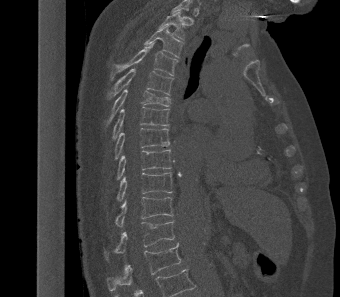

CT spine — sagittal view
Each vertebra maps to its box as [x1, y1, x2, y2], the pixel coordinates of its top-left and bottom-right corners.
The highest labeled vertebra in this scan is T2; the lowest is L1.
{"vertebrae":{"L1":[107,242,181,291],"T12":[104,221,174,259],"T11":[115,197,173,226],"T10":[116,172,173,201],"T9":[116,149,171,179],"T8":[114,128,170,159],"T7":[112,107,169,140],"T6":[106,89,170,125],"T5":[107,68,173,99],"T4":[111,43,177,77],"T3":[144,26,182,57],"T2":[159,12,185,40]}}